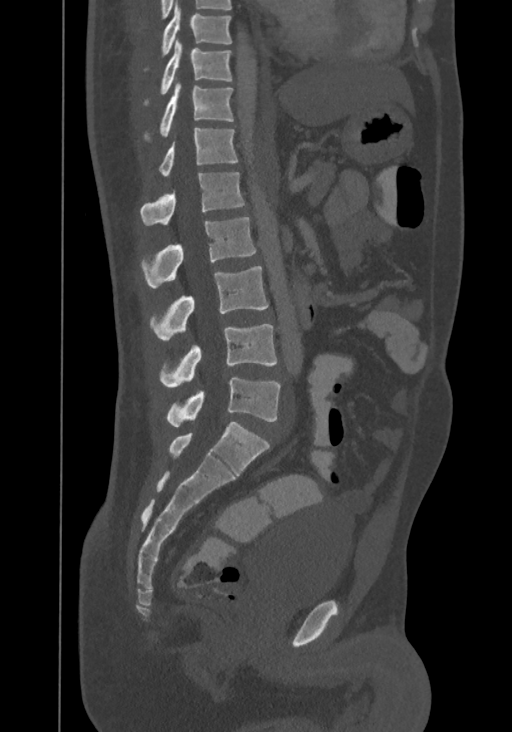
CT, spine; sagittal reformat; Bone window (WL 400, WW 1800); 512x732 px
Box edges are left/top/right/bottom in pixels. In this scan, the topmost labeled vertebra is T8 and the lowest is L4. The labeled vertebrae in this slice are: T8 at left=143, top=6, right=232, bottom=69, T9 at left=143, top=38, right=232, bottom=104, T10 at left=143, top=83, right=233, bottom=141, T11 at left=159, top=128, right=237, bottom=176, T12 at left=139, top=172, right=244, bottom=225, L1 at left=142, top=217, right=255, bottom=288, L2 at left=150, top=266, right=268, bottom=339, L3 at left=160, top=324, right=276, bottom=387, L4 at left=167, top=377, right=281, bottom=427.